Computed tomography of the spine; 150 mm wide; sagittal view; bone window
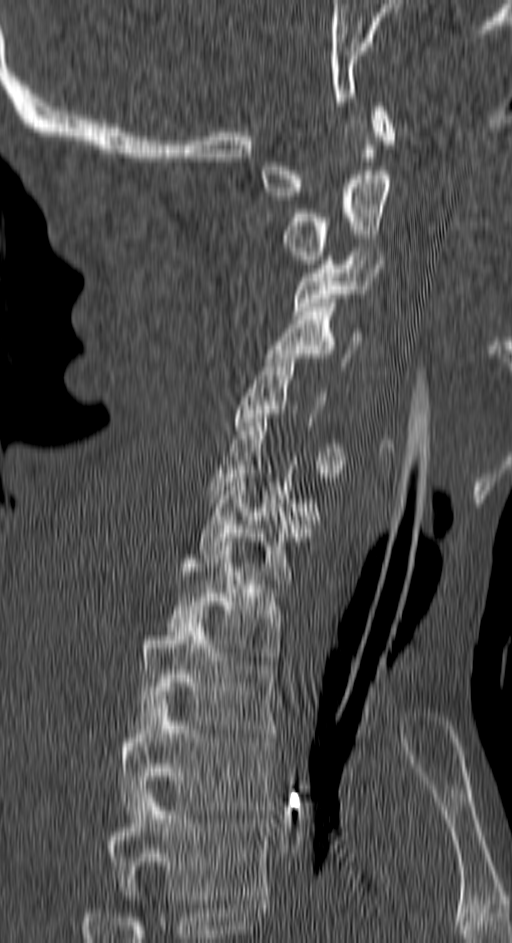
Each box given as x1,y1,x2,y2.
Each vertebra is boxed only on the slices from the first to the last where its cross-section reaches a third of its largest, so a slice outside that range leaves it unboxed.
The highest labeled vertebra in this scan is C1; the lowest is T4.
| vertebra | x1 | y1 | x2 | y2 |
|---|---|---|---|---|
| C1 | 261 | 102 | 393 | 200 |
| C2 | 285 | 166 | 389 | 264 |
| C3 | 293 | 247 | 379 | 319 |
| C4 | 266 | 303 | 362 | 366 |
| C5 | 235 | 354 | 345 | 473 |
| C7 | 199 | 474 | 311 | 588 |
| T1 | 168 | 542 | 280 | 660 |
| T2 | 137 | 614 | 277 | 733 |
| T3 | 121 | 691 | 273 | 814 |
| T4 | 107 | 789 | 266 | 899 |